CT, spine — Sagittal slice 314/512 — bone-window reconstruction — 512x759 px
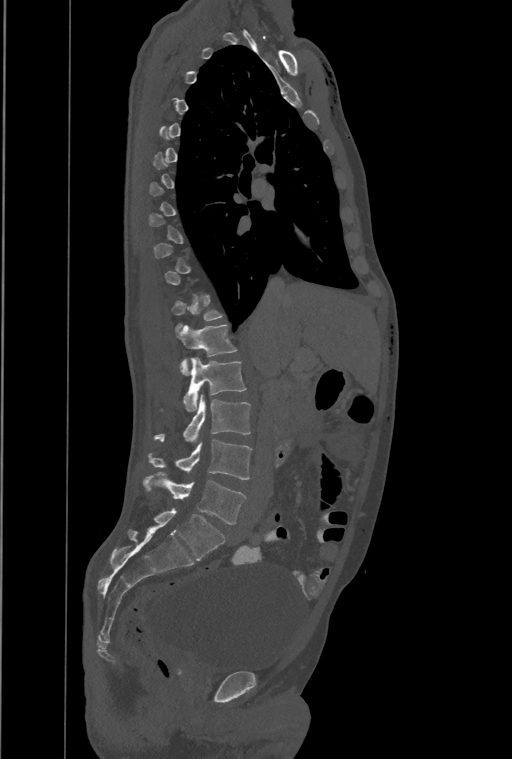

Box edges are left/top/right/bottom in pixels.
A vertebra gets a box only on the slices from the first to the last where its cross-section is at least a third of its largest; on a slice outside that range it gets none.
Labels in this scan begin with T1 at the top and end with L4 at the bottom.
These labels give the spine a thirteenth thoracic vertebra: T13 sits between T12 and L1.
T13: left=178, top=325, right=237, bottom=374
L1: left=183, top=357, right=246, bottom=411
L2: left=154, top=395, right=251, bottom=441
L3: left=148, top=439, right=252, bottom=479
L4: left=143, top=472, right=245, bottom=524